Spine CT — sagittal plane, index 83 — 174x247 px
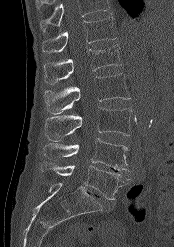 Box edges are left/top/right/bottom in pixels.
A vertebra cut off by the top edge of the scan is not labeled and has no box.
| vertebra | x1 | y1 | x2 | y2 |
|---|---|---|---|---|
| T12 | 42 | 17 | 116 | 53 |
| L1 | 43 | 44 | 122 | 84 |
| L2 | 44 | 73 | 130 | 114 |
| L3 | 44 | 107 | 131 | 141 |
| L4 | 42 | 138 | 129 | 171 |
| L5 | 40 | 162 | 130 | 199 |